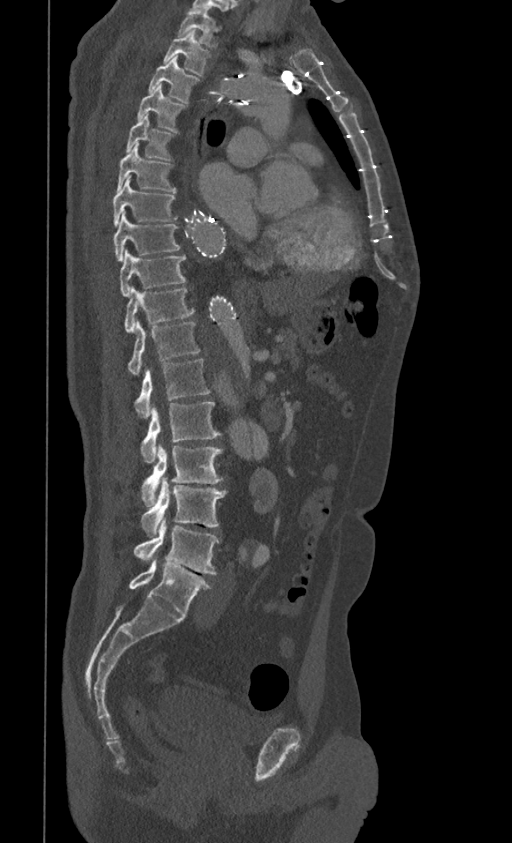
Computed tomography of the spine. sagittal reformat. Bone window (WL 400, WW 1800)
Boxes below are [x1, y1, x2, y2] in pixels.
{"vertebrae":{"T1":[176,10,220,46],"T2":[162,30,211,76],"T3":[149,58,199,103],"T4":[137,84,184,131],"T5":[126,114,173,160],"T6":[117,143,176,192],"T7":[113,176,177,227],"T8":[113,211,180,261],"T9":[119,249,185,297],"T10":[124,286,194,333],"T11":[128,320,200,375],"T12":[135,359,211,417],"L1":[141,402,221,462],"L2":[141,443,222,506],"L3":[141,477,227,535],"L4":[133,516,218,574],"L5":[129,558,212,616]}}